Computed tomography of the spine · sagittal plane, index 287 · Bone window (WL 400, WW 1800) · 523x792 px · scan covers 18 annotated vertebrae
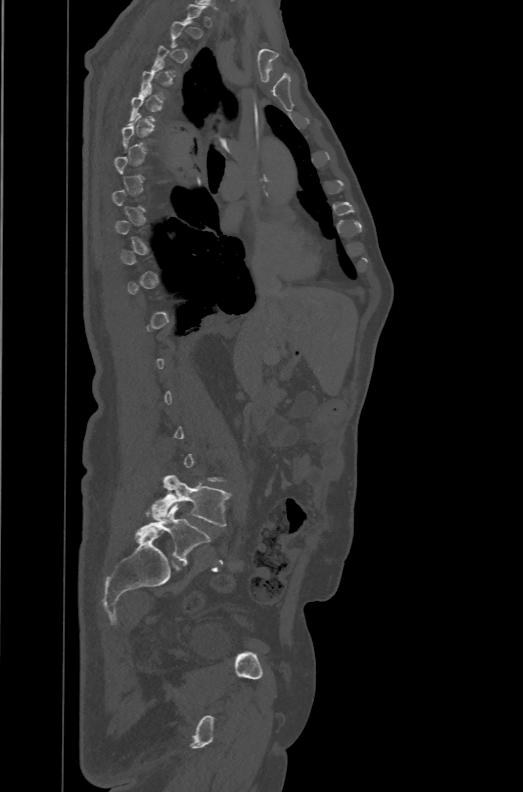

In the table, x1 and y1 are a box's top-left corner and x2 and y2 its bottom-right corner, in pixels.
Each vertebra is boxed only on the slices from the first to the last where its cross-section reaches a third of its largest, so a slice outside that range leaves it unboxed.
In these labels the spine has an L6, a sixth lumbar vertebra below L5.
| vertebra | x1 | y1 | x2 | y2 |
|---|---|---|---|---|
| L5 | 151 | 475 | 230 | 525 |
| L6 | 135 | 504 | 210 | 563 |